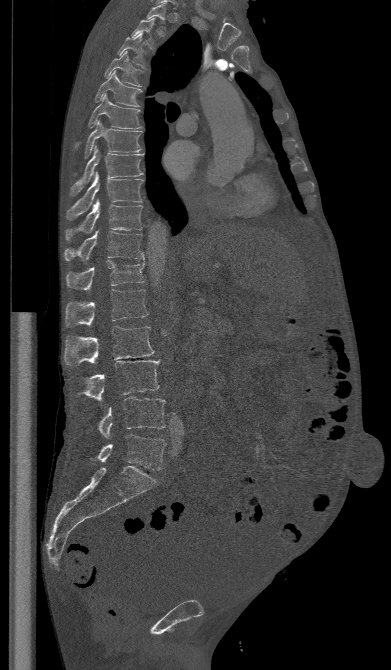

Spine CT · sagittal reformat · W/L 1800/400 HU

Each box given as x1,y1,x2,y2.
A vertebra is boxed only from the first to the last slice where its cross-section is at least a third of its largest; slices outside that range leave it without a box.
Vertebra bounding boxes:
- T2: x1=131, y1=18, x2=155, y2=49
- T3: x1=117, y1=33, x2=146, y2=68
- T4: x1=105, y1=51, x2=144, y2=86
- T5: x1=93, y1=70, x2=141, y2=106
- T6: x1=74, y1=93, x2=141, y2=149
- T7: x1=84, y1=120, x2=141, y2=158
- T8: x1=70, y1=145, x2=143, y2=196
- T9: x1=66, y1=172, x2=143, y2=219
- T10: x1=65, y1=199, x2=142, y2=240
- T11: x1=65, y1=230, x2=144, y2=260
- T12: x1=66, y1=260, x2=144, y2=291
- L1: x1=65, y1=289, x2=148, y2=326
- L2: x1=64, y1=326, x2=154, y2=367
- L3: x1=75, y1=360, x2=159, y2=401
- L4: x1=87, y1=397, x2=165, y2=437
- L5: x1=88, y1=434, x2=166, y2=470